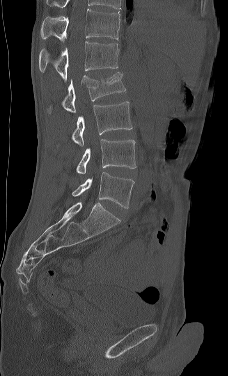 Spine computed tomography; sagittal view
In this scan, the topmost labeled vertebra is L1 and the lowest is L5.
<vertebrae><v name="L1" x1="39" y1="41" x2="119" y2="83"/><v name="L2" x1="46" y1="72" x2="125" y2="115"/><v name="L3" x1="71" y1="101" x2="132" y2="146"/><v name="L4" x1="76" y1="139" x2="136" y2="174"/><v name="L5" x1="72" y1="172" x2="134" y2="208"/></vertebrae>